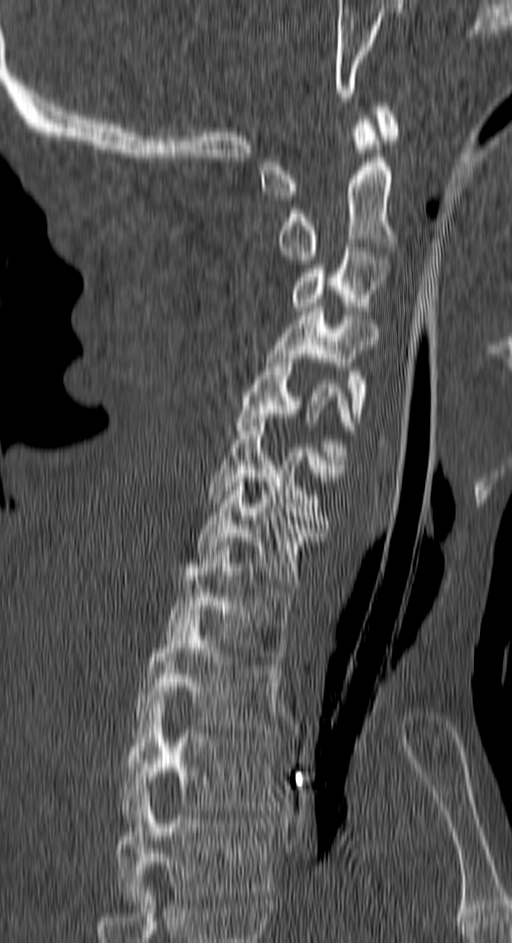

Spine CT. sagittal reformat
Boxes are (x1, y1, x2, y2) in pixels.
In this scan, the topmost labeled vertebra is C1 and the lowest is T4.
T4: (117, 794, 273, 904)
T3: (121, 700, 277, 822)
T2: (134, 614, 281, 733)
T1: (165, 546, 292, 660)
C7: (196, 474, 321, 588)
C6: (209, 418, 342, 524)
C5: (235, 354, 354, 468)
C4: (267, 307, 376, 421)
C3: (291, 247, 389, 315)
C2: (278, 115, 396, 264)
C1: (261, 102, 400, 200)